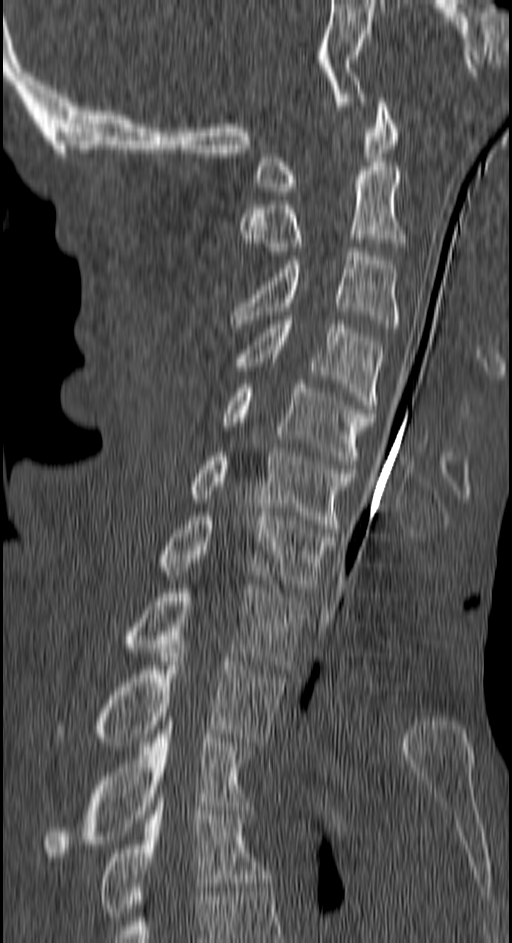 CT spine. sagittal view
Each box is [x1, y1, x2, y2] in pixels: top-left corner, then bottom-right corner.
{"vertebrae":{"C1":[253,98,396,195],"C2":[240,166,406,264],"C3":[232,247,400,328],"C4":[237,316,383,413],"C5":[223,384,374,468],"C6":[189,448,355,532],"C7":[162,512,335,592],"T1":[124,585,305,669],"T2":[59,644,284,746],"T3":[46,721,249,861],"T4":[100,802,270,921]}}